Spine CT; 398 mm image width; sagittal reformat; Bone window (WL 400, WW 1800)
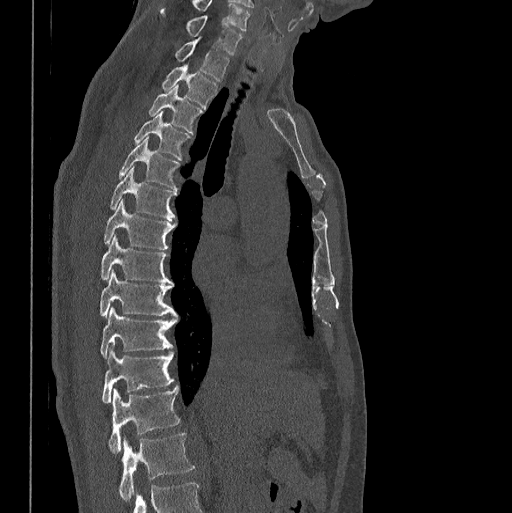

Each box given as x1,y1,x2,y2.
Vertebra bounding boxes:
- C7: x1=159, y1=7, x2=242, y2=56
- T1: x1=175, y1=38, x2=229, y2=81
- T2: x1=161, y1=63, x2=218, y2=108
- T3: x1=148, y1=86, x2=202, y2=132
- T4: x1=134, y1=111, x2=189, y2=160
- T5: x1=118, y1=138, x2=180, y2=189
- T6: x1=109, y1=167, x2=176, y2=220
- T7: x1=103, y1=200, x2=175, y2=249
- T8: x1=100, y1=236, x2=173, y2=283
- T9: x1=99, y1=271, x2=178, y2=317
- T10: x1=100, y1=307, x2=176, y2=358
- T11: x1=101, y1=344, x2=174, y2=403
- T12: x1=108, y1=386, x2=180, y2=453
- L1: x1=118, y1=433, x2=194, y2=500